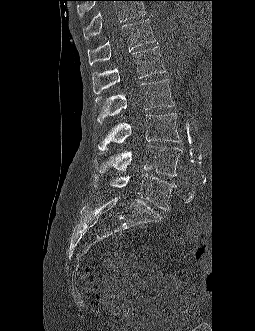
Spine CT — sagittal reformat — the image spans 255 mm across — 255x331 px

Box edges are left/top/right/bottom in pixels.
A vertebra cut off by the top edge of the scan is not labeled and has no box.
T12: left=88, top=18, right=155, bottom=65
L1: left=92, top=46, right=165, bottom=94
L2: left=94, top=79, right=174, bottom=123
L3: left=98, top=113, right=180, bottom=149
L4: left=94, top=145, right=182, bottom=176
L5: left=92, top=173, right=176, bottom=210